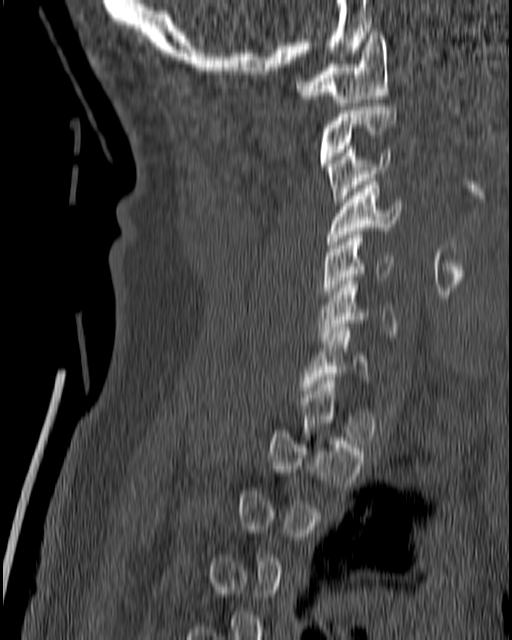

CT, spine. sagittal view. bone window
A vertebra is boxed only from the first to the last slice where its cross-section is at least a third of its largest; slices outside that range leave it without a box.
<vertebrae><v name="C1" x1="297" y1="32" x2="389" y2="106"/><v name="C2" x1="319" y1="103" x2="396" y2="166"/><v name="C3" x1="326" y1="146" x2="390" y2="205"/><v name="C4" x1="325" y1="178" x2="401" y2="248"/><v name="C5" x1="319" y1="235" x2="392" y2="301"/><v name="C6" x1="318" y1="277" x2="397" y2="344"/><v name="C7" x1="300" y1="327" x2="370" y2="394"/></vertebrae>